CT spine — image 171 mm wide — sagittal plane, index 106
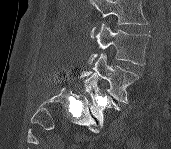
Coordinates as <box>x1,y1,x2,y2</box>. No box is given to a vertebra that the top edge of the scan cuts off. Vertebrae labeled: L3 at <box>88,23,149,65</box>, L4 at <box>77,52,139,103</box>, L5 at <box>83,73,120,127</box>.